CT, spine — sagittal view — 512x760 px
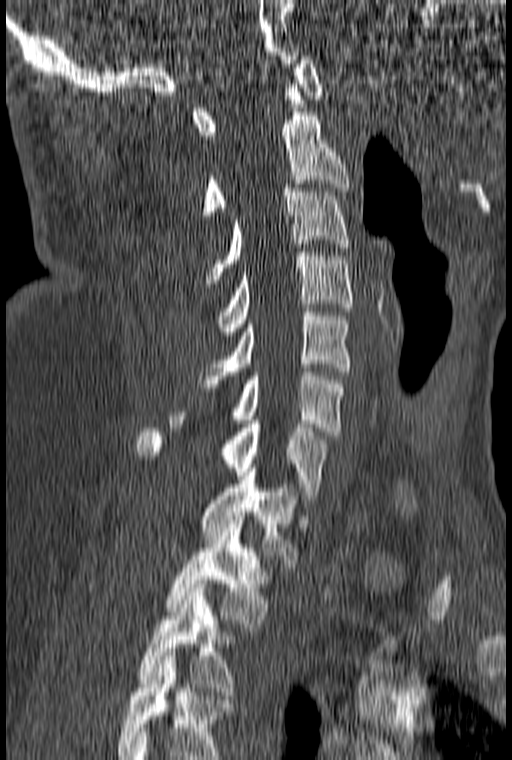 Boxes are (x1, y1, x2, y2) in pixels. This scan's labels start at C1 at the top and end at T3 at the bottom. Vertebrae labeled: T3 at (139, 584, 247, 695), T2 at (88, 520, 272, 631), T1 at (200, 468, 298, 567), C7 at (136, 420, 330, 499), C6 at (170, 368, 346, 435), C5 at (199, 308, 352, 387), C4 at (215, 252, 352, 335), C3 at (206, 188, 349, 283), C2 at (202, 112, 349, 219), C1 at (193, 56, 323, 139).